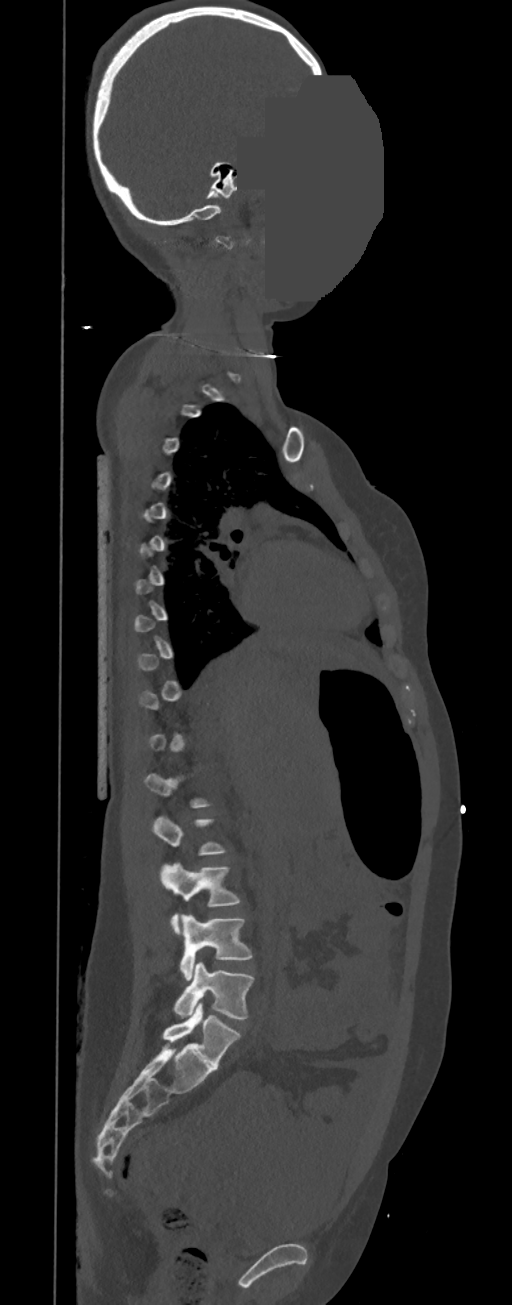
Spine computed tomography · sagittal reformat · W/L 1800/400 HU · the image spans 350 mm across · a region of this slice is masked with a uniform fill
Coordinates as <box>x1,y1,x2,y2</box>.
Not every vertebra on this slice has a box: a vertebra is boxed only from the first to the last slice where its cross-section is at least a third of its largest, and this slice is outside that range for at least one of them.
L2: <box>152,815,226,855</box>
L3: <box>161,861,240,934</box>
L4: <box>180,914,252,980</box>
L5: <box>174,962,255,1019</box>